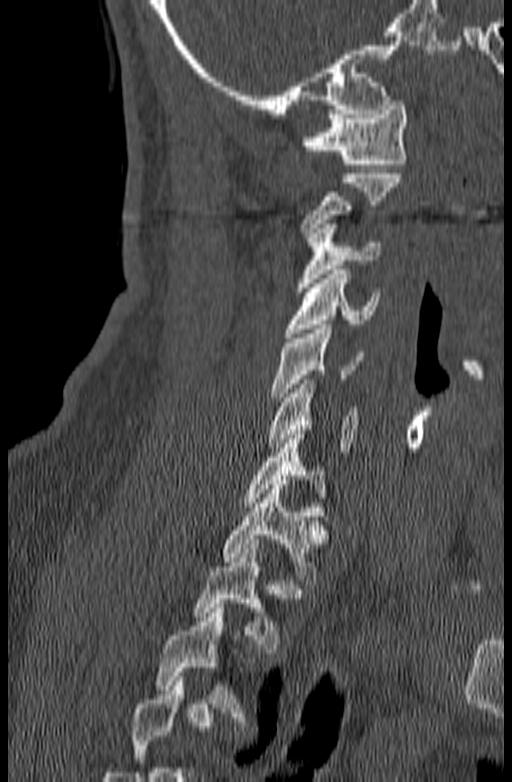 CT; sagittal view; 512x782 px; 140 mm image width
Each box is [x1, y1, x2, y2] in pixels: top-left corner, then bottom-right corner.
A vertebra is boxed only from the first to the last slice where its cross-section is at least a third of its largest; slices outside that range leave it without a box.
{"vertebrae":{"T2":[191,544,282,653],"T1":[221,485,333,584],"C7":[243,430,326,506],"C6":[268,379,358,452],"C5":[271,325,363,401],"C4":[284,270,381,337],"C3":[296,224,381,292],"C2":[300,169,403,241],"C1":[301,101,408,168]}}